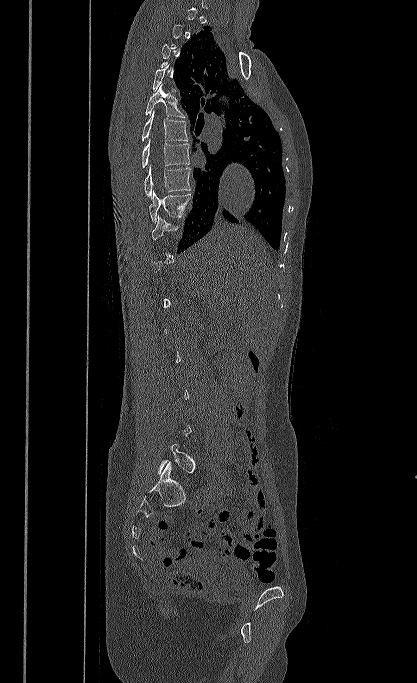

Spine computed tomography — sagittal view — W/L 1800/400 HU

Boxes are (x1, y1, x2, y2) in pixels.
A vertebra is boxed only from the first to the last slice where its cross-section is at least a third of its largest; slices outside that range leave it without a box.
T5: (145, 84, 185, 117)
T6: (142, 110, 188, 141)
T7: (142, 139, 189, 167)
T8: (144, 164, 191, 197)
T9: (149, 190, 192, 223)
L5: (158, 444, 195, 473)